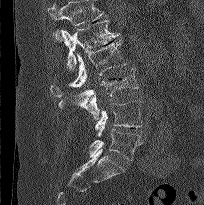

Spine computed tomography; sagittal view; the image spans 204 mm across. Bounding boxes as [x1, y1, x2, y2] in pixel coordinates. Vertebrae that run past the top of the scan are left unlabeled. 5 vertebrae labeled — L5 at [89, 129, 142, 160]; L4 at [95, 100, 142, 136]; L3 at [58, 68, 138, 119]; L2 at [50, 39, 125, 97]; L1 at [61, 20, 120, 69].